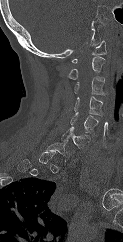

Spine CT; image 123 mm wide; sagittal view
Each vertebra is boxed only on the slices from the first to the last where its cross-section reaches a third of its largest, so a slice outside that range leaves it unboxed.
<vertebrae><v name="C1" x1="71" y1="40" x2="106" y2="63"/><v name="C2" x1="66" y1="56" x2="105" y2="79"/><v name="C3" x1="74" y1="77" x2="107" y2="95"/><v name="C4" x1="74" y1="96" x2="103" y2="116"/><v name="C5" x1="70" y1="112" x2="98" y2="132"/><v name="C6" x1="61" y1="127" x2="90" y2="149"/><v name="C7" x1="44" y1="140" x2="75" y2="161"/></vertebrae>